Spine computed tomography; sagittal view; Bone window (WL 400, WW 1800); 2 vertebrae labeled in this scan
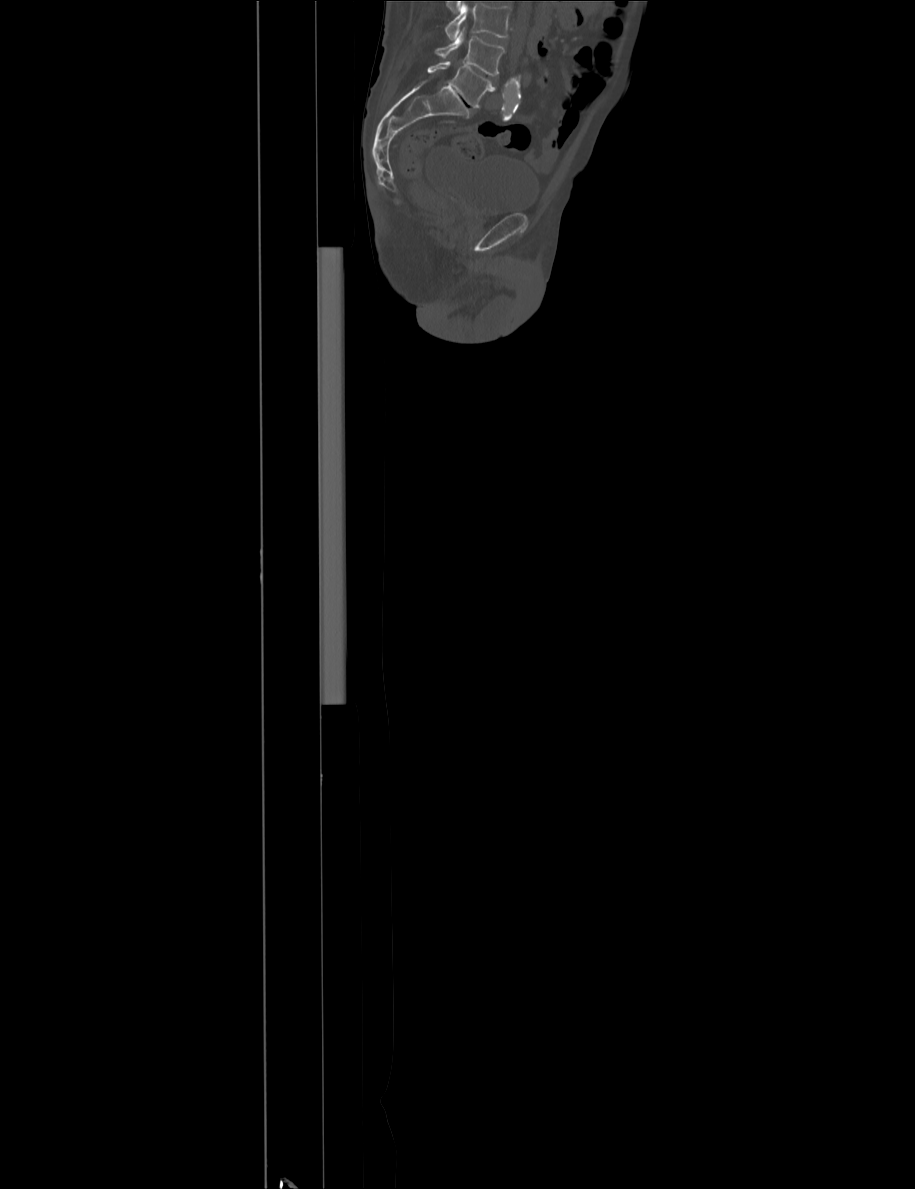 Bounding boxes as [x1, y1, x2, y2] in pixel coordinates. Where the top of the scan cuts through a vertebra, that vertebra gets no label or box. Vertebrae labeled: L5 at [427, 61, 495, 107], L4 at [435, 27, 505, 75].